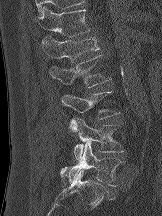 Spine computed tomography · sagittal view · 162 mm image width · 162x216 px
Boxes: x1:y1:x2:y2 in pixels. 6 vertebrae labeled — L5 at 60:142:123:186; L4 at 68:116:124:161; L3 at 61:91:120:119; L2 at 49:55:111:88; L1 at 40:36:99:62; T12 at 35:6:90:37.